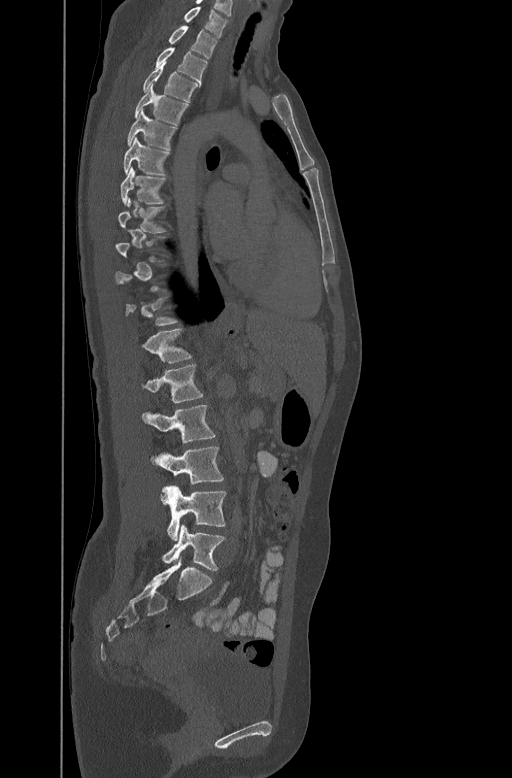

Computed tomography of the spine · sagittal reformat · bone-window reconstruction
Box values are [left, top, right, bottom] in pixels.
Not every vertebra on this slice has a box: a vertebra is boxed only from the first to the last slice where its cross-section is at least a third of its largest, and this slice is outside that range for at least one of them.
{"vertebrae":{"L5":[163,525,225,570],"L4":[160,486,226,540],"L3":[151,446,223,485],"L2":[142,405,214,443],"L1":[143,363,203,403],"T12":[142,327,191,362],"T8":[118,198,165,231],"T7":[120,166,165,204],"T6":[124,136,168,174],"T5":[127,109,176,148],"T4":[134,84,187,124],"T3":[143,64,197,100],"T2":[155,46,206,81],"T1":[169,25,217,58],"C7":[184,5,228,37]}}